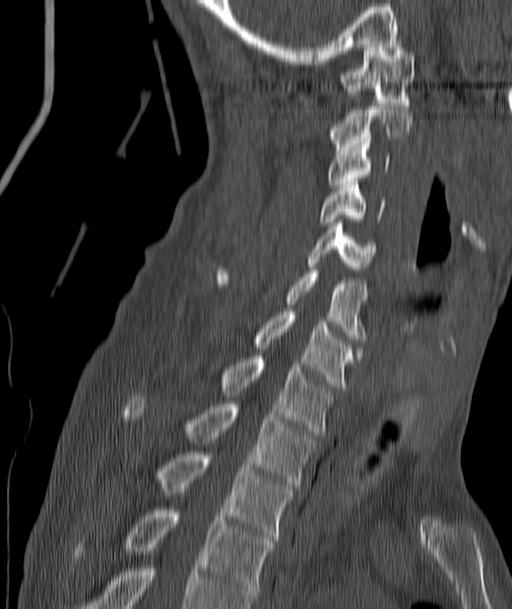 Spine CT · sagittal view · bone-window reconstruction

Box edges are left/top/right/bottom in pixels. The labeled vertebrae in this slice are: T4 at left=75, top=510, right=271, bottom=601, T3 at left=154, top=452, right=293, bottom=540, T2 at left=124, top=397, right=315, bottom=488, T1 at left=220, top=356, right=334, bottom=434, C7 at left=253, top=311, right=356, bottom=389, C6 at left=217, top=270, right=367, bottom=341, C5 at left=308, top=222, right=376, bottom=269, C4 at left=318, top=181, right=383, bottom=225, C3 at left=327, top=144, right=389, bottom=187, C2 at left=329, top=106, right=411, bottom=150, C1 at left=340, top=48, right=414, bottom=105.